CT, spine · Sagittal slice 188/365 · image 365 mm wide · scan covers 17 annotated vertebrae
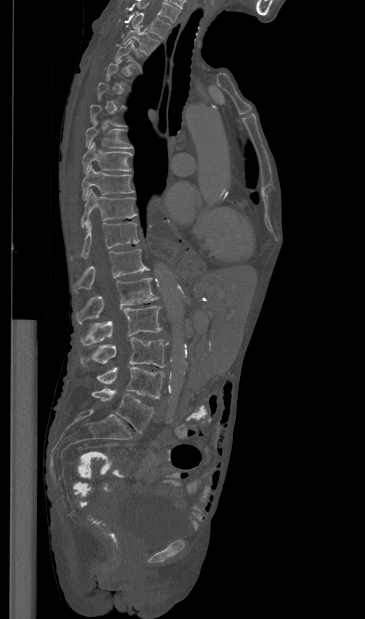 Boxes: x1:y1:x2:y2 in pixels.
Each vertebra is boxed only on the slices from the first to the last where its cross-section reaches a third of its largest, so a slice outside that range leaves it unboxed.
Labels in this scan begin with T1 at the top and end with L5 at the bottom.
T1: 132:13:170:38
T2: 123:27:159:55
T3: 115:40:136:68
T7: 85:121:133:148
T8: 82:142:132:173
T9: 82:165:134:199
T10: 81:188:136:228
T11: 71:221:139:258
T12: 73:249:149:291
L1: 76:278:158:323
L2: 80:306:162:345
L3: 80:337:168:367
L4: 96:367:164:398
L5: 92:389:154:433